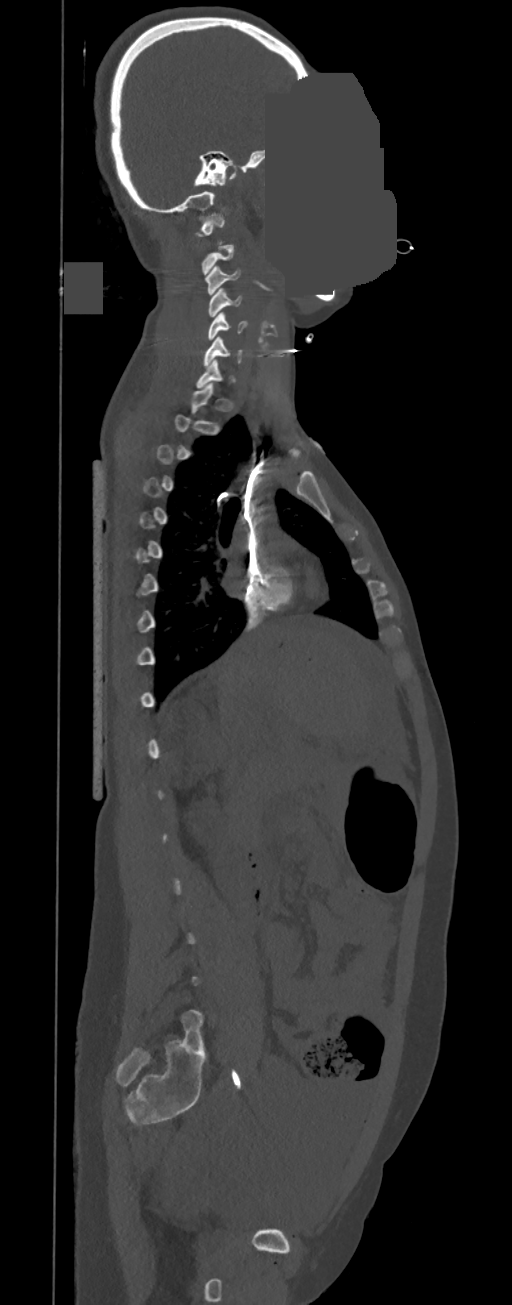 CT spine. sagittal view. part of the image has been replaced by a constant value. Boxes: x1:y1:x2:y2 in pixels.
Each vertebra is boxed only on the slices from the first to the last where its cross-section reaches a third of its largest, so a slice outside that range leaves it unboxed.
Vertebra bounding boxes:
- C1: 196:213:224:243
- C3: 205:266:240:295
- C4: 207:288:242:316
- C5: 207:313:246:340
- C6: 203:336:242:366